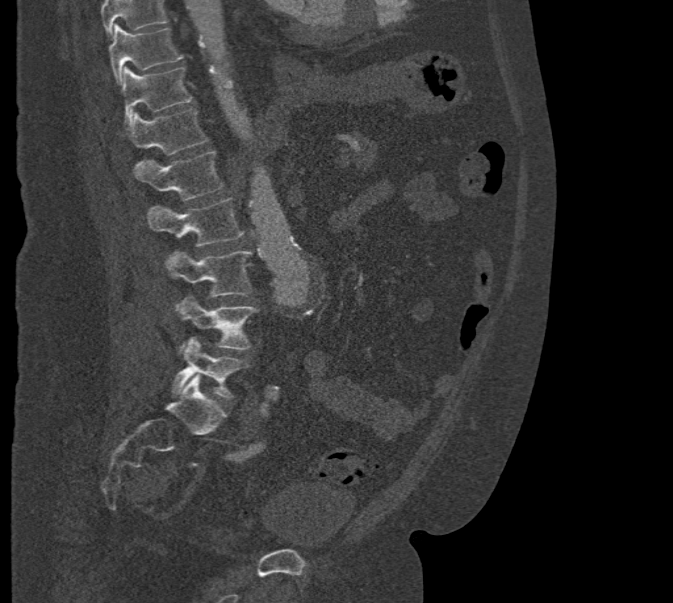 CT spine — sagittal view — bone window
Each box is [x1, y1, x2, y2] in pixels: top-left corner, then bottom-right corner.
Where the top of the scan cuts through a vertebra, that vertebra gets no label or box.
{"vertebrae":{"T10":[109,25,183,84],"T11":[121,66,192,122],"T12":[118,109,208,155],"L1":[133,150,224,201],"L2":[147,198,243,261],"L3":[166,250,251,308],"L4":[177,296,257,349],"L5":[171,338,247,398]}}